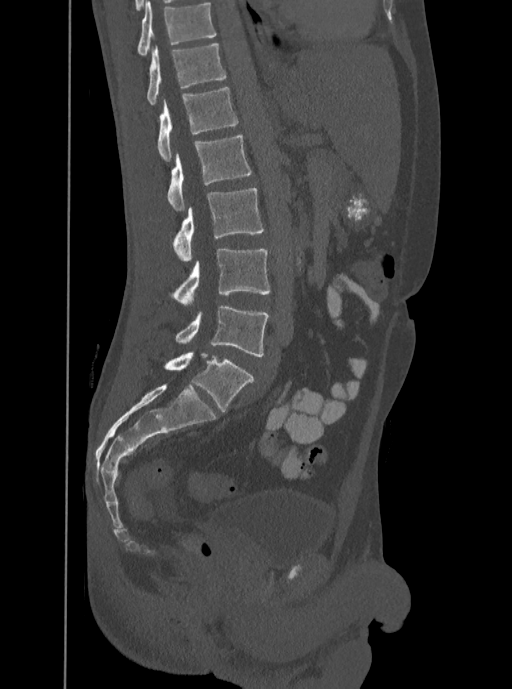
CT, spine · sagittal reformat · image width 350 mm
Each vertebra maps to its box as [x1, y1, x2, y2], the pixel coordinates of its top-left and bottom-right corners.
In this scan, the topmost labeled vertebra is T12 and the lowest is L5.
{"vertebrae":{"T12":[146,43,226,104],"L1":[158,86,237,161],"L2":[168,134,252,211],"L3":[174,188,264,261],"L4":[172,249,269,306],"L5":[175,305,268,357]}}